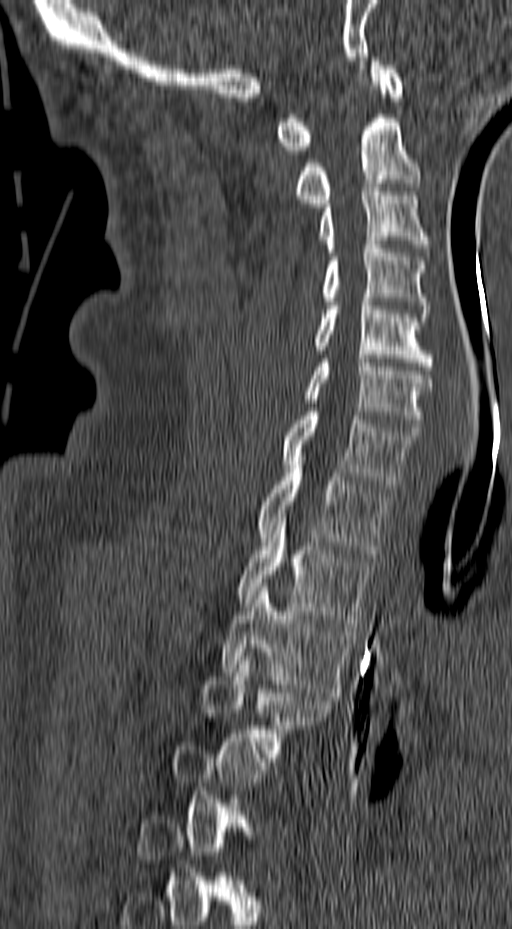 CT, spine · the image is 157 mm wide · sagittal view · W/L 1800/400 HU · 512x929 px
Each row gives a vertebra's box as x1, y1, x2, y2 in pixels: top-left corner, then bottom-right corner.
A vertebra gets a box only on the slices from the first to the last where its cross-section is at least a third of its largest; on a slice outside that range it gets none.
| vertebra | x1 | y1 | x2 | y2 |
|---|---|---|---|---|
| C1 | 277 | 57 | 402 | 154 |
| C2 | 295 | 118 | 421 | 207 |
| C3 | 317 | 188 | 432 | 252 |
| C4 | 321 | 241 | 431 | 317 |
| C5 | 314 | 294 | 432 | 370 |
| C6 | 304 | 359 | 432 | 431 |
| C7 | 282 | 408 | 418 | 488 |
| T1 | 259 | 461 | 388 | 557 |
| T2 | 236 | 514 | 372 | 627 |
| T3 | 222 | 583 | 352 | 696 |
| T4 | 202 | 656 | 334 | 753 |